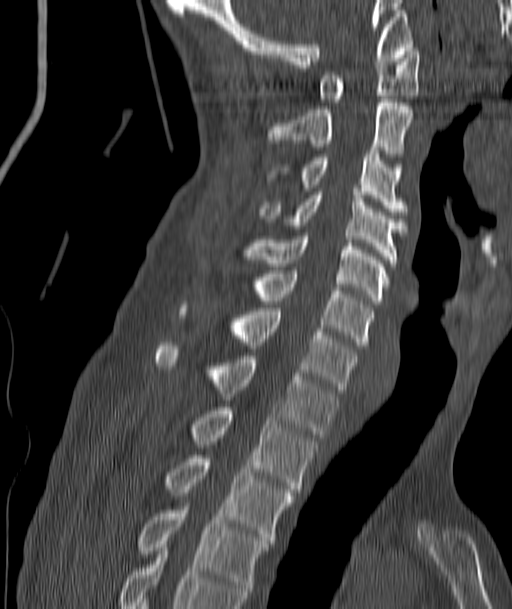
Spine CT — sagittal reformat — bone window — 512x609 px — 187 mm across the image
Each vertebra maps to its box as [x1, y1, x2, y2], the pixel coordinates of its top-left and bottom-right corners.
{"vertebrae":{"C1":[318,48,419,102],"C2":[269,99,413,160],"C3":[269,151,405,215],"C4":[261,192,405,263],"C5":[245,233,389,304],"C6":[253,270,372,348],"C7":[179,305,356,393],"T1":[154,342,337,437],"T2":[190,407,317,492],"T3":[165,455,293,543],"T4":[138,507,271,598]}}